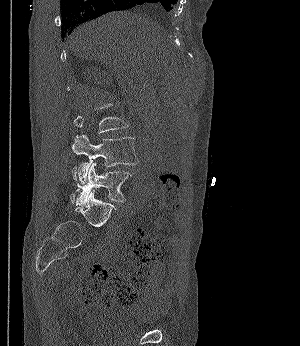
Spine CT. sagittal view. 300x346 px
Coordinates as <box>x1,y1,x2,y2</box>.
A vertebra gets a box only on the slices from the first to the last where its cross-section is at least a third of its largest; on a slice outside that range it gets none.
Vertebra bounding boxes:
- L5: <box>72,162,132,205</box>
- L4: <box>72,135,139,183</box>